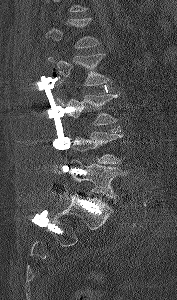 CT, spine. sagittal view. bone-window reconstruction. 177x300 px
Each box is [x1, y1, x2, y2] in pixels: top-left corner, then bottom-right corner.
Vertebrae that run past the top of the scan are left unlabeled.
{"vertebrae":{"L1":[46,18,100,48],"L2":[48,53,110,85],"L3":[60,94,119,125],"L4":[66,132,123,164],"L5":[69,160,126,199]}}